CT, spine — sagittal plane, index 335 — image width 227 mm
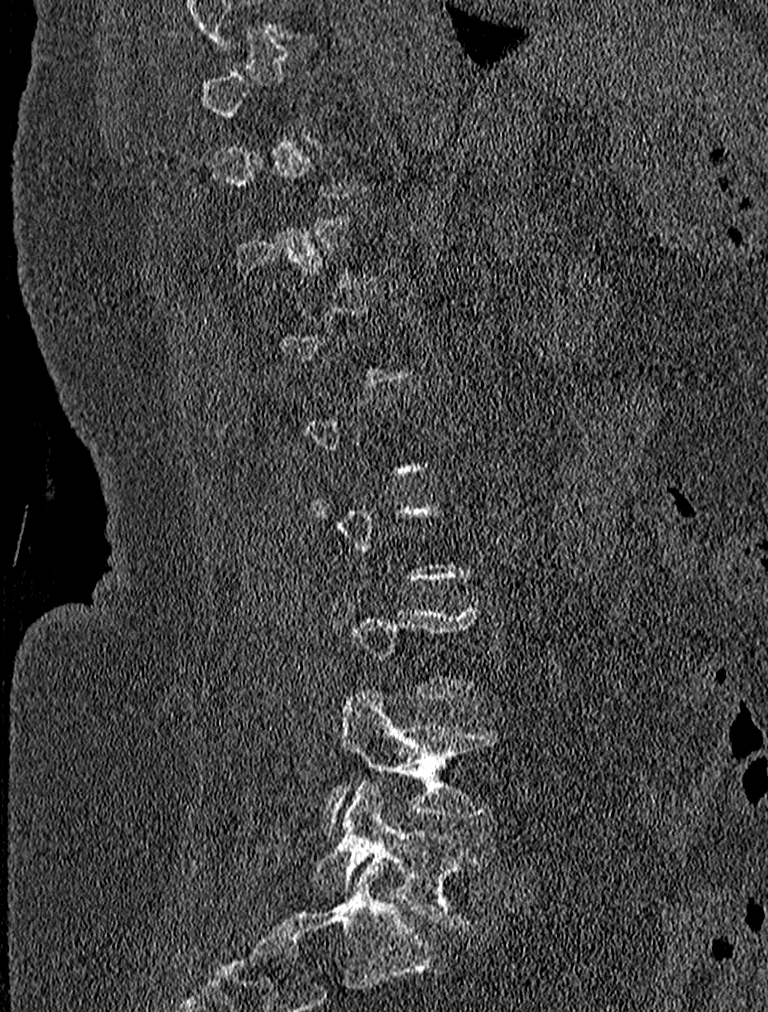 Boxes: x1 y1 x2 y2 (pixel coords, space-separated). Each vertebra is boxed only on the slices from the first to the last where its cross-section reaches a third of its largest, so a slice outside that range leaves it unboxed. Vertebrae labeled: L5 at 313 779 485 928, L4 at 324 688 505 826.